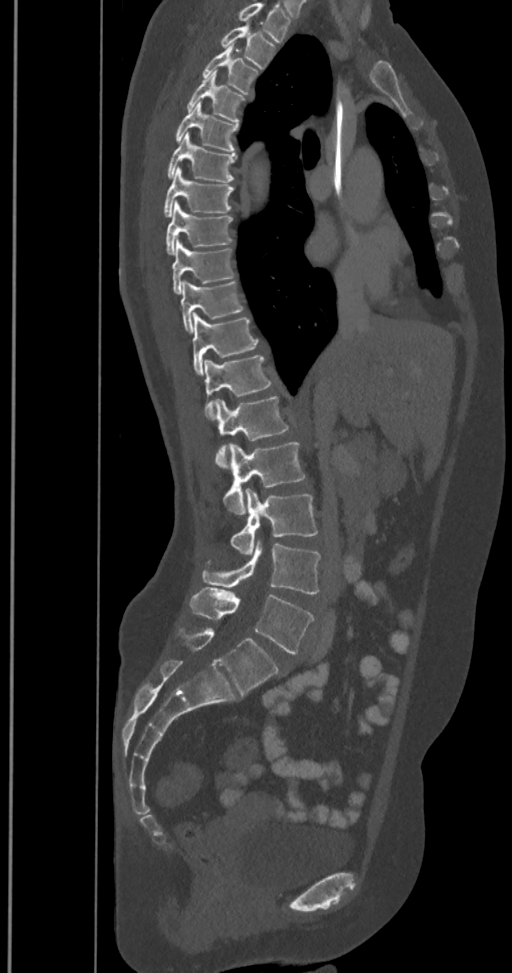 CT, spine — sagittal view — W/L 1800/400 HU

Coordinates as <box>x1,y1,x2,y2</box>.
This scan's labels start at T2 at the top and end at L6 at the bottom.
These labels give the spine a sixth lumbar vertebra, L6, below L5.
L6: <box>184,628,280,695</box>
L5: <box>190,587,315,653</box>
L4: <box>202,538,321,593</box>
L3: <box>231,488,318,555</box>
L2: <box>224,442,305,514</box>
L1: <box>215,396,293,468</box>
T12: <box>203,355,271,419</box>
T11: <box>192,312,258,374</box>
T10: <box>180,279,243,332</box>
T9: <box>172,238,234,294</box>
T8: <box>167,203,233,254</box>
T7: <box>164,167,234,216</box>
T6: <box>168,132,234,182</box>
T5: <box>175,101,237,152</box>
T4: <box>187,72,245,123</box>
T3: <box>203,45,258,94</box>
T2: <box>221,24,274,67</box>